CT, spine · sagittal view · Bone window (WL 400, WW 1800) · 183x211 px
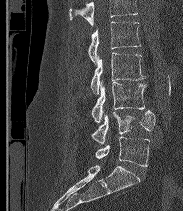

A vertebra cut off by the top edge of the scan is not labeled and has no box.
These labels give the spine a sixth lumbar vertebra, L6, below L5.
<vertebrae><v name="L2" x1="88" y1="22" x2="141" y2="63"/><v name="L3" x1="90" y1="52" x2="145" y2="94"/><v name="L4" x1="91" y1="80" x2="146" y2="123"/><v name="L5" x1="91" y1="110" x2="155" y2="144"/><v name="L6" x1="95" y1="136" x2="149" y2="166"/></vertebrae>